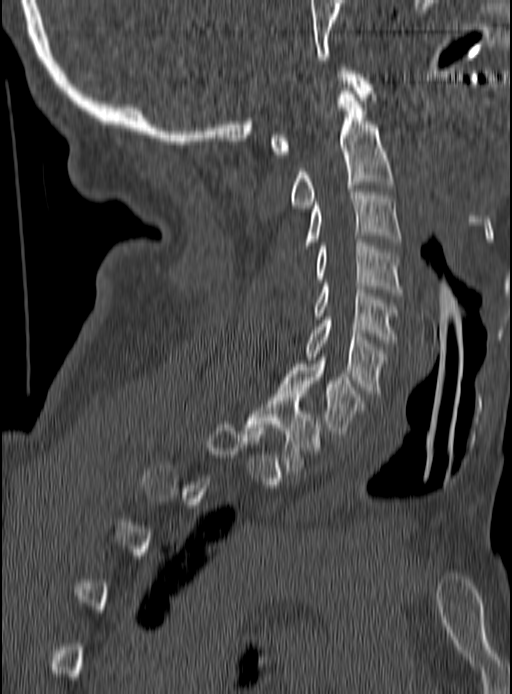

CT, spine — 190 mm wide — sagittal view — 512x694 px
A vertebra gets a box only on the slices from the first to the last where its cross-section is at least a third of its largest; on a slice outside that range it gets none.
<vertebrae><v name="T1" x1="246" y1="391" x2="321" y2="471"/><v name="C7" x1="280" y1="357" x2="364" y2="434"/><v name="C6" x1="305" y1="317" x2="385" y2="393"/><v name="C5" x1="313" y1="283" x2="397" y2="343"/><v name="C4" x1="316" y1="239" x2="401" y2="295"/><v name="C3" x1="305" y1="189" x2="401" y2="245"/><v name="C2" x1="289" y1="91" x2="393" y2="208"/><v name="C1" x1="270" y1="67" x2="372" y2="154"/></vertebrae>